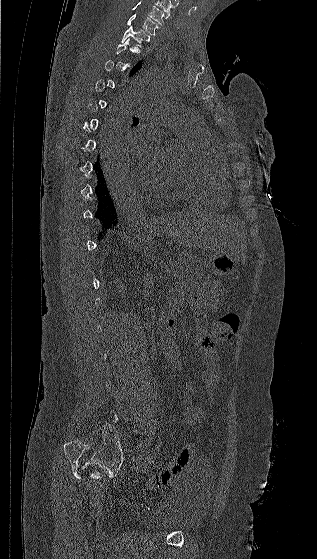
CT spine; sagittal view; 317 mm image width. Coordinates as <box>x1,y1,x2,y2</box>.
A vertebra gets a box only on the slices from the first to the last where its cross-section is at least a third of its largest; on a slice outside that range it gets none.
This scan's labels start at C7 at the top and end at L5 at the bottom.
T1: <box>120,27,150,48</box>
C7: <box>126,14,160,35</box>